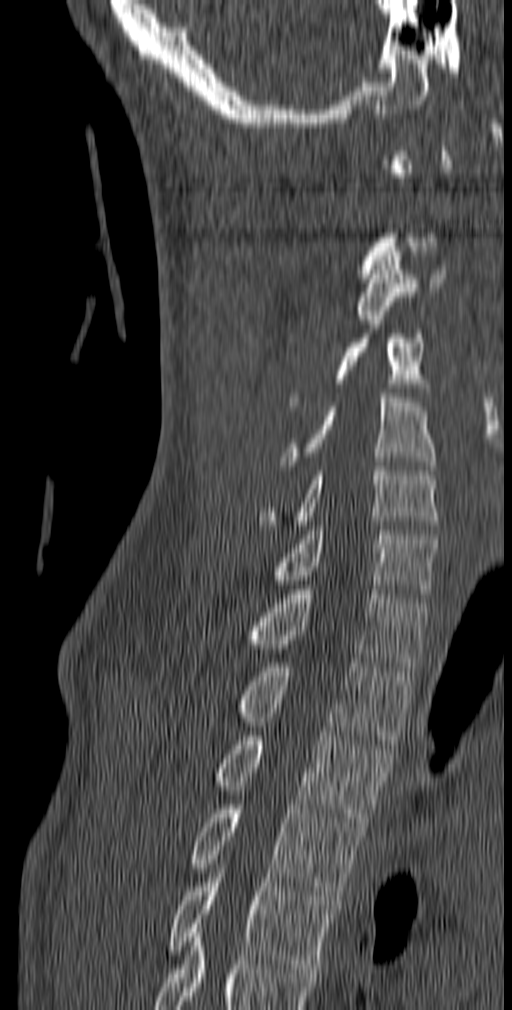
Computed tomography of the spine · sagittal view · Bone window (WL 400, WW 1800) · 512x1010 px

Box values are [left, top, right, bottom] in pixels.
A vertebra is boxed only from the first to the last slice where its cross-section is at least a third of its largest; slices outside that range leave it without a box.
{"vertebrae":{"C3":[356,247,447,324],"C4":[288,306,423,406],"C5":[279,393,436,470],"C6":[258,466,439,529],"C7":[274,526,438,598],"T1":[246,585,427,671],"T2":[238,658,412,744],"T3":[217,731,392,826],"T4":[192,805,364,900],"T5":[167,864,333,973]}}